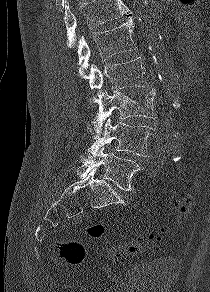

Spine CT · sagittal view · bone-window reconstruction · 210x292 px. Each box given as x1,y1,x2,y2.
No box is given to a vertebra that the top edge of the scan cuts off.
L1: x1=76, y1=17, x2=136, y2=77
L2: x1=89, y1=57, x2=147, y2=92
L3: x1=86, y1=88, x2=156, y2=138
L4: x1=86, y1=117, x2=154, y2=158
L5: x1=77, y1=146, x2=140, y2=190